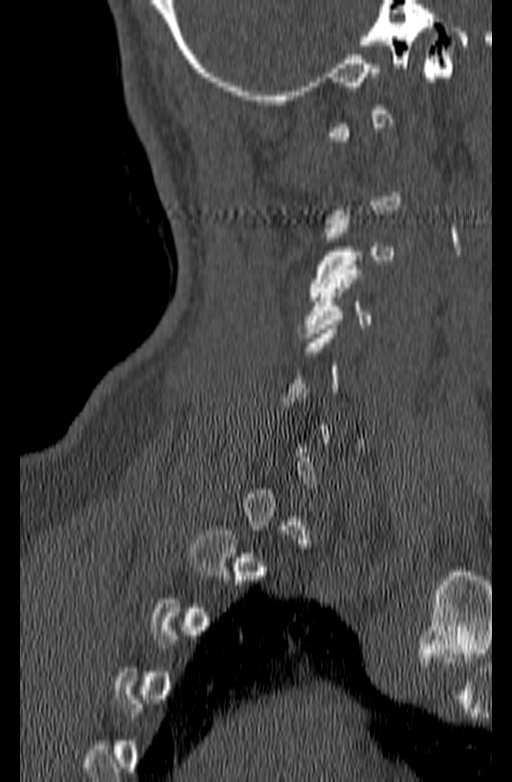 Spine CT; sagittal view; 512x782 px; image width 140 mm
Box edges are left/top/right/bottom in pixels. Each vertebra is boxed only on the slices from the first to the last where its cross-section reaches a third of its largest, so a slice outside that range leaves it unboxed. The labeled vertebrae in this slice are: C3 at left=308, top=215, right=395, bottom=296, C4 at left=299, top=265, right=372, bottom=337.